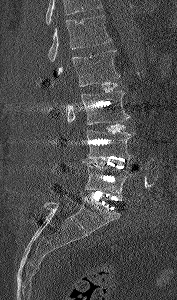

Spine computed tomography. sagittal view

Each box given as x1,y1,x2,y2.
Vertebrae that run past the top of the scan are left unlabeled.
L1: x1=47, y1=15, x2=111, y2=61
L2: x1=51, y1=50, x2=119, y2=86
L3: x1=67, y1=90, x2=130, y2=124
L4: x1=86, y1=130, x2=134, y2=160
L5: x1=83, y1=160, x2=134, y2=199